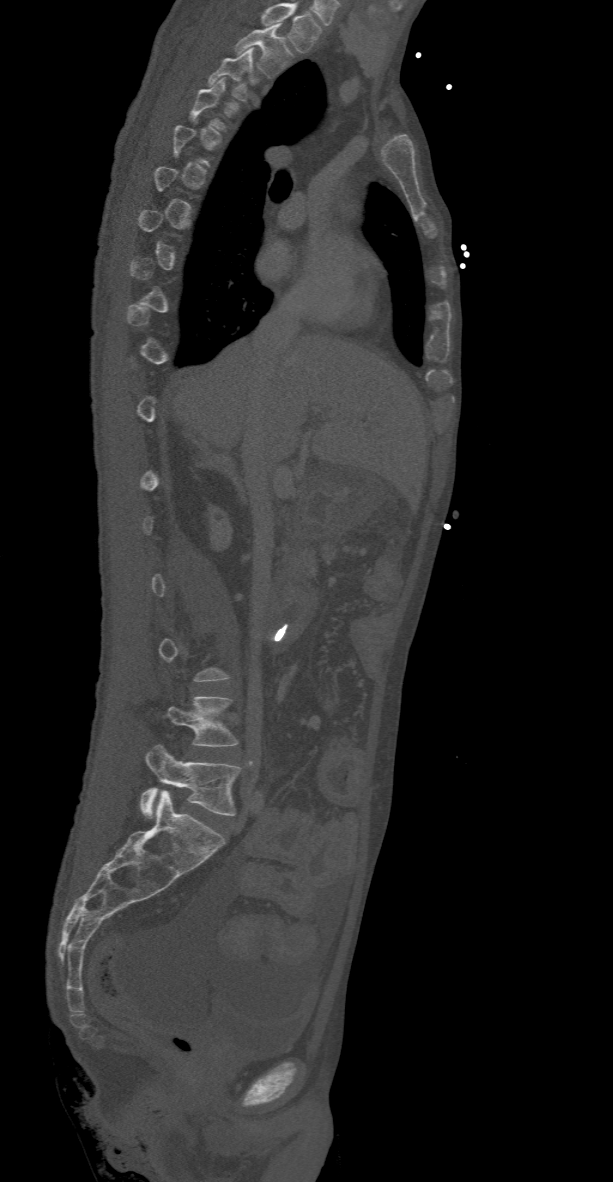 CT — sagittal reformat — Bone window (WL 400, WW 1800) — 613x1182 px. Each box given as x1,y1,x2,y2.
Not every vertebra on this slice has a box: a vertebra is boxed only from the first to the last slice where its cross-section is at least a third of its largest, and this slice is outside that range for at least one of them.
In this scan, the topmost labeled vertebra is T2 and the lowest is L5.
T2: x1=235, y1=23, x2=292, y2=76
T3: x1=208, y1=49, x2=252, y2=101
L4: x1=165, y1=696, x2=239, y2=746
L5: x1=140, y1=744, x2=242, y2=816